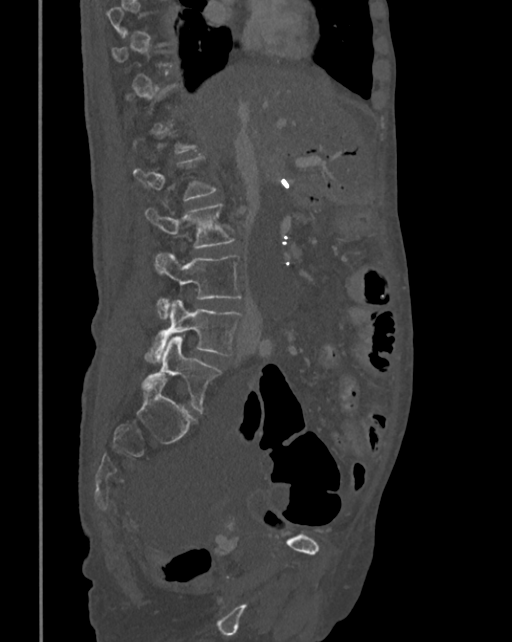
CT; sagittal view; 342 mm image width
In the table, x1 and y1 are a box's top-left corner and x2 and y2 its bottom-right corner, in pixels.
Not every vertebra on this slice has a box: a vertebra is boxed only from the first to the last slice where its cross-section is at least a third of its largest, and this slice is outside that range for at least one of them.
| vertebra | x1 | y1 | x2 | y2 |
|---|---|---|---|---|
| L2 | 145 | 204 | 234 | 248 |
| L3 | 154 | 252 | 242 | 319 |
| L4 | 145 | 300 | 242 | 364 |
| L5 | 146 | 335 | 220 | 410 |